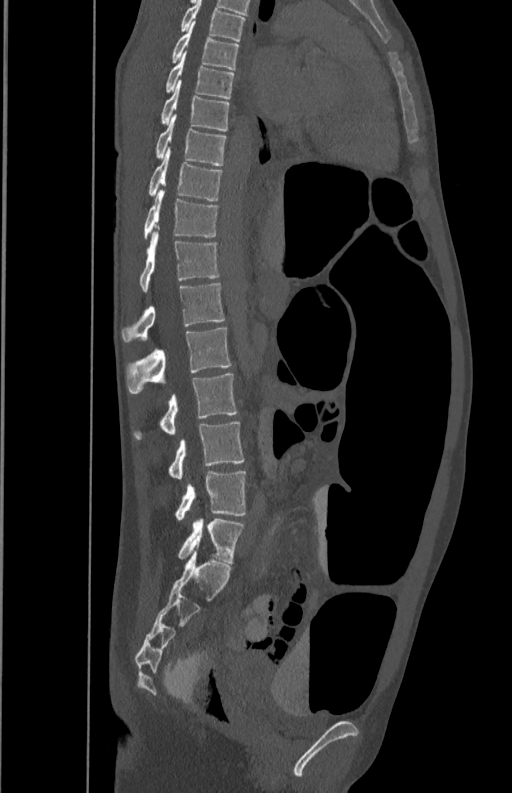

CT — sagittal view — bone-window reconstruction — 512x793 px
Boxes: x1:y1:x2:y2 in pixels.
Vertebra bounding boxes:
- L5: 175:471:246:519
- L4: 168:421:245:478
- L3: 134:373:237:439
- L2: 126:328:231:393
- L1: 121:283:226:343
- T12: 139:230:220:291
- T11: 143:188:218:239
- T10: 149:149:223:200
- T9: 155:116:226:165
- T8: 161:84:230:131
- T7: 165:54:234:98
- T6: 171:21:239:69
- T5: 180:1:245:41